CT spine — image width 250 mm — Sagittal slice 146/250 — Bone window (WL 400, WW 1800) — 250x372 px
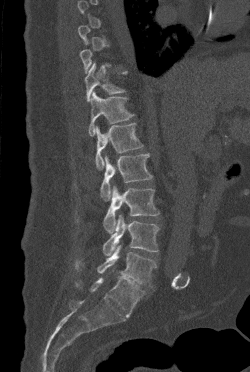
Boxes: x1 y1 x2 y2 (pixel coords, space-separated). A vertebra gets a box only on the slices from the first to the last where its cross-section is at least a third of its largest; on a slice outside that range it gets none. Vertebrae labeled: L5 at 76 245 156 287, L4 at 103 214 159 255, L3 at 103 185 159 233, L2 at 100 153 152 200, L1 at 95 123 143 170, T12 at 88 91 134 136, T11 at 84 62 126 101.